CT · sagittal reformat · bone window
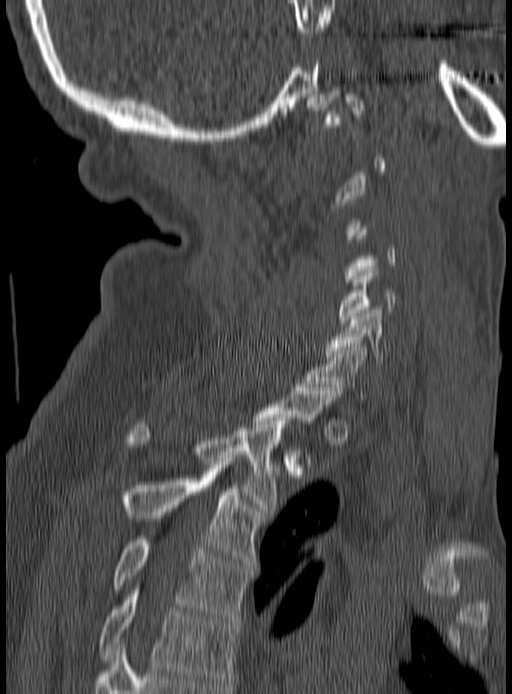 Boxes below are [x1, y1, x2, y2] in pixels.
A vertebra gets a box only on the slices from the first to the last where its cross-section is at least a third of its largest; on a slice outside that range it gets none.
{"vertebrae":{"C5":[338,269,396,322],"C6":[324,307,411,366],"C7":[305,344,367,403],"T2":[128,418,290,511],"T3":[119,465,261,565],"T4":[114,539,250,619],"T5":[98,589,237,686]}}